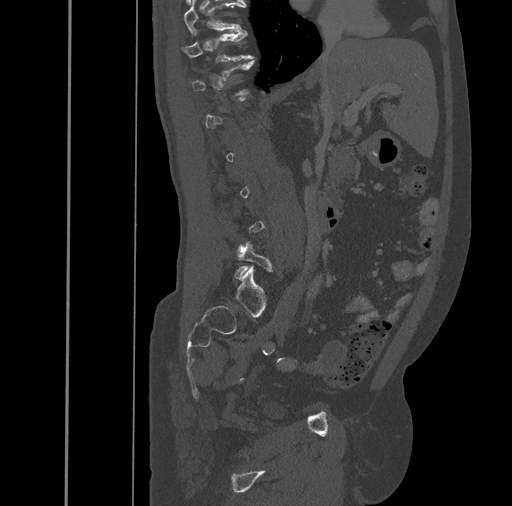
CT spine · sagittal reformat · W/L 1800/400 HU · 461 mm image width
In the table, x1 and y1 are a box's top-left corner and x2 and y2 its bottom-right corner, in pixels.
Each vertebra is boxed only on the slices from the first to the last where its cross-section reaches a third of its largest, so a slice outside that range leaves it unboxed.
| vertebra | x1 | y1 | x2 | y2 |
|---|---|---|---|---|
| L5 | 235 | 242 | 272 | 278 |
| T11 | 183 | 30 | 253 | 62 |
| T10 | 184 | 1 | 244 | 35 |